CT — sagittal view — 512x923 px
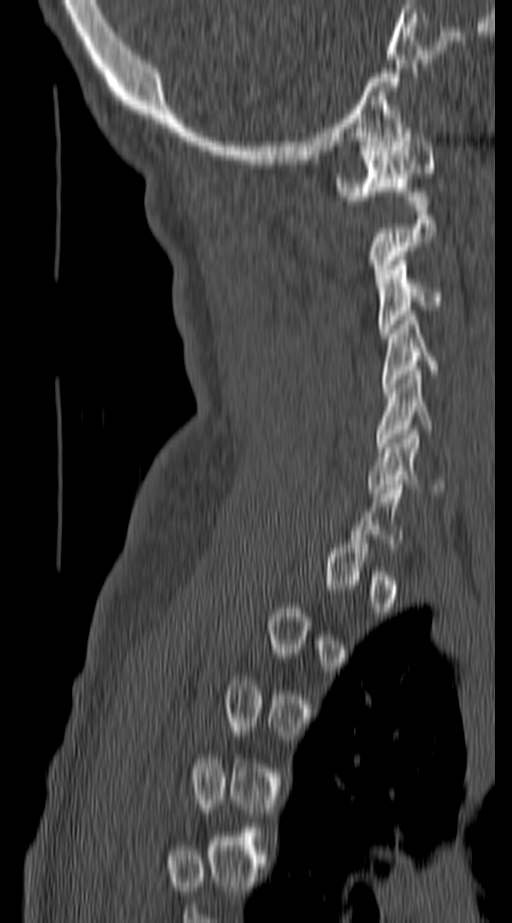

Coordinates as <box>x1,y1,x2,y2</box>.
Not every vertebra on this slice has a box: a vertebra is boxed only from the first to the last slice where its cross-section is at least a third of its largest, and this slice is outside that range for at least one of them.
C1: <box>338,133,436,200</box>
C3: <box>378,256,444,337</box>
C4: <box>382,315,439,388</box>
C5: <box>373,370,432,452</box>
C6: <box>367,430,446,493</box>